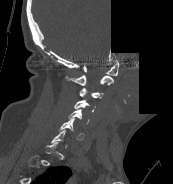 Spine CT · sagittal view · W/L 1800/400 HU · 173x184 px · part of the image has been replaced by a constant value
Box edges are left/top/right/bottom in pixels.
A vertebra gets a box only on the slices from the first to the last where its cross-section is at least a third of its largest; on a slice outside that range it gets none.
C1: left=82, top=60, right=118, bottom=75
C2: left=65, top=75, right=113, bottom=85
C3: left=79, top=88, right=103, bottom=98
C4: left=74, top=100, right=95, bottom=112
C5: left=68, top=109, right=89, bottom=124
C6: left=59, top=119, right=84, bottom=140